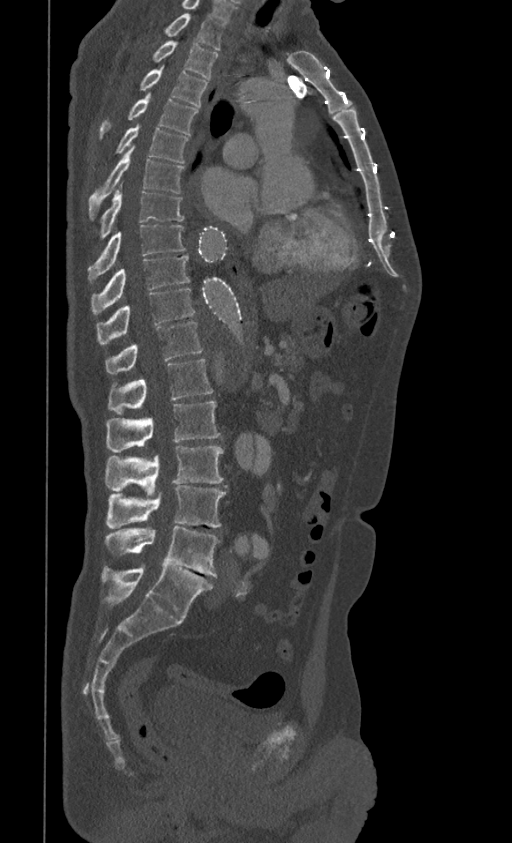 Spine computed tomography · sagittal reformat · 399 mm wide
Box edges are left/top/right/bottom in pixels.
The highest labeled vertebra in this scan is T1; the lowest is L5.
Vertebra bounding boxes:
- T1: left=163, top=13, right=225, bottom=50
- T2: left=154, top=40, right=218, bottom=79
- T3: left=140, top=69, right=208, bottom=106
- T4: left=99, top=94, right=198, bottom=139
- T5: left=115, top=125, right=189, bottom=163
- T6: left=88, top=147, right=184, bottom=218
- T7: left=97, top=189, right=184, bottom=240
- T8: left=88, top=224, right=185, bottom=280
- T9: left=91, top=255, right=190, bottom=314
- T10: left=96, top=288, right=195, bottom=344
- T11: left=105, top=322, right=202, bottom=373
- T12: left=108, top=359, right=213, bottom=414
- L1: left=106, top=401, right=221, bottom=452
- L2: left=105, top=446, right=223, bottom=493
- L3: left=106, top=485, right=226, bottom=529
- L4: left=105, top=527, right=220, bottom=576
- L5: left=103, top=565, right=213, bottom=618